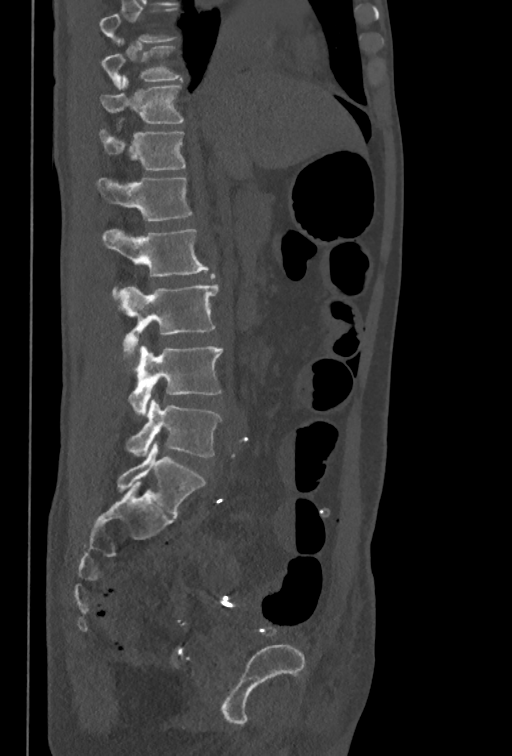
CT, spine — sagittal view — 512x756 px
Boxes below are [x1, y1, x2, y2] in pixels.
In this scan, the topmost labeled vertebra is T10 and the lowest is L5.
{"vertebrae":{"T10":[101,39,182,90],"T11":[101,75,183,123],"T12":[99,117,185,170],"L1":[96,178,192,222],"L2":[102,229,208,297],"L3":[118,284,218,351],"L4":[128,345,223,415],"L5":[126,399,221,457]}}